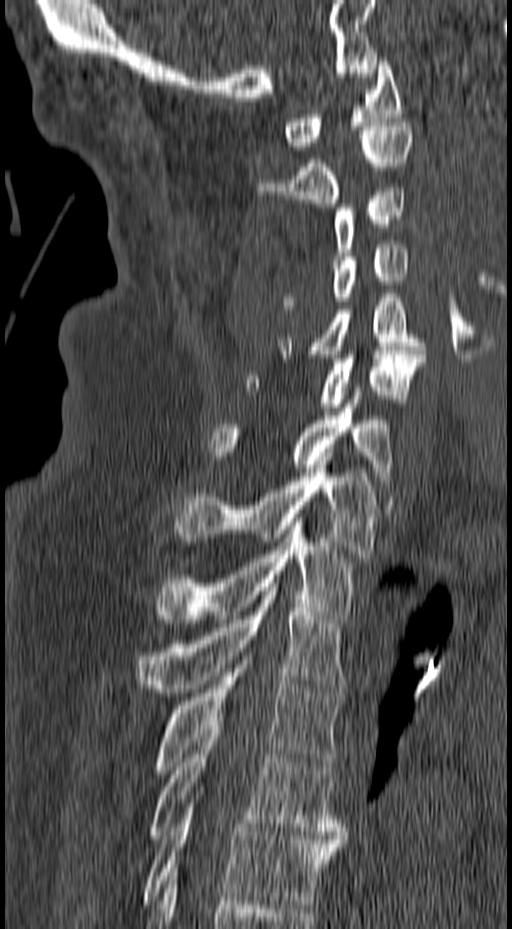

Computed tomography of the spine. sagittal view. Bone window (WL 400, WW 1800). 512x929 px. the image spans 157 mm across
Boxes below are [x1, y1, x2, y2] in pixels.
{"vertebrae":{"C1":[285,57,401,150],"C2":[259,122,413,207],"C3":[334,188,405,260],"C4":[281,241,409,309],"C5":[278,294,425,358],"C6":[245,351,426,415],"C7":[207,387,394,484],"T1":[174,461,380,557],"T2":[154,518,352,623],"T3":[133,583,346,692],"T4":[151,656,343,774],"T5":[148,726,346,839],"T6":[143,787,343,904]}}